CT spine. 160 mm image width. sagittal plane, index 268. bone-window reconstruction
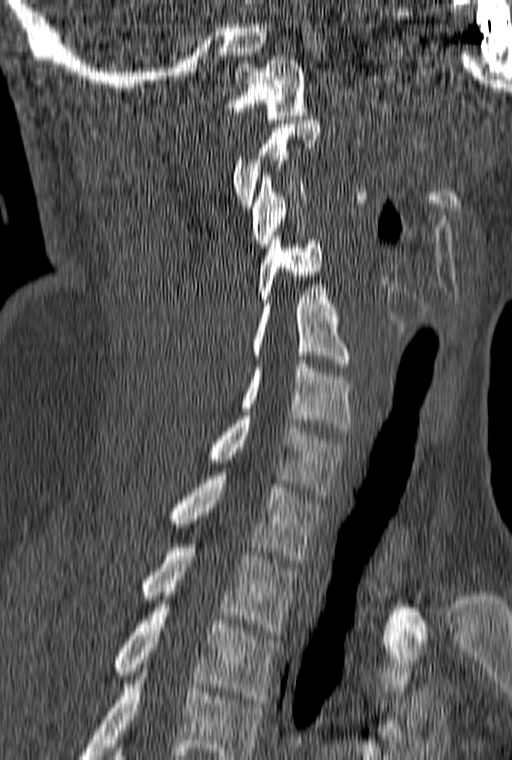
In the table, x1 and y1 are a box's top-left corner and x2 and y2 its bottom-right corner, in pixels.
A vertebra gets a box only on the slices from the first to the last where its cross-section is at least a third of its largest; on a slice outside that range it gets none.
Labels in this scan begin with C1 at the top and end with T3 at the bottom.
| vertebra | x1 | y1 | x2 | y2 |
|---|---|---|---|---|
| T3 | 55 | 604 | 279 | 703 |
| T2 | 142 | 544 | 298 | 635 |
| T1 | 170 | 472 | 325 | 563 |
| C7 | 209 | 416 | 346 | 495 |
| C6 | 239 | 360 | 352 | 431 |
| C5 | 252 | 288 | 349 | 367 |
| C4 | 257 | 236 | 322 | 303 |
| C3 | 252 | 172 | 306 | 247 |
| C1 | 221 | 56 | 306 | 119 |